Spine CT. the image is 200 mm wide. sagittal view
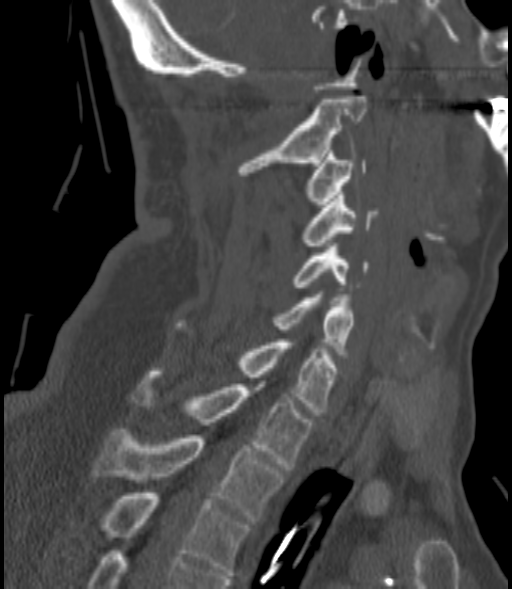

<vertebrae><v name="C2" x1="239" y1="96" x2="366" y2="175"/><v name="C3" x1="305" y1="150" x2="366" y2="207"/><v name="C4" x1="303" y1="192" x2="376" y2="249"/><v name="C5" x1="293" y1="246" x2="367" y2="287"/><v name="C6" x1="275" y1="294" x2="353" y2="354"/><v name="C7" x1="175" y1="323" x2="338" y2="415"/><v name="T1" x1="134" y1="371" x2="312" y2="469"/><v name="T2" x1="93" y1="429" x2="284" y2="521"/><v name="T3" x1="101" y1="493" x2="248" y2="575"/></vertebrae>